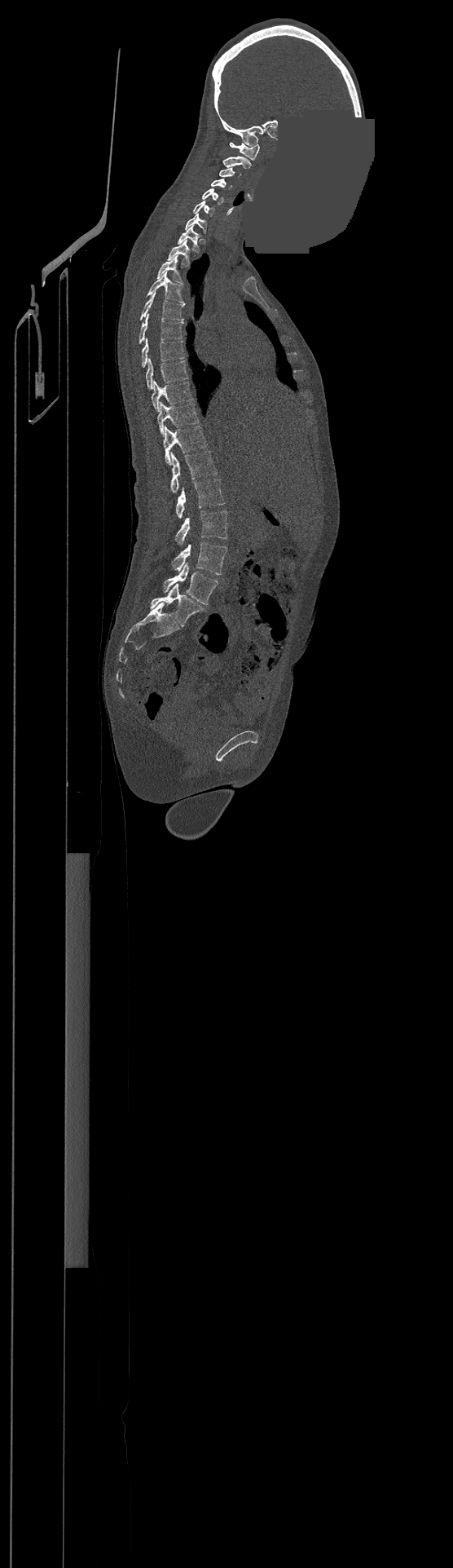
Spine CT; sagittal view; 500 mm wide; bone-window reconstruction; an area of the scan was removed and filled with constant pixels. Coordinates as <box>x1,y1,x2,y2</box>. Labels in this scan begin with C1 at the top and end with L4 at the bottom. Vertebrae labeled: L4 at <box>163,563,218,604</box>, L3 at <box>173,541,226,574</box>, L2 at <box>175,510,227,545</box>, L1 at <box>176,478,225,518</box>, T12 at <box>169,451,217,492</box>, T11 at <box>163,426,208,464</box>, T10 at <box>156,402,198,435</box>, T9 at <box>152,380,192,411</box>, T8 at <box>146,359,187,388</box>, T7 at <box>142,338,184,367</box>, T6 at <box>139,314,183,343</box>, T5 at <box>141,291,184,320</box>, T4 at <box>147,272,184,304</box>, T3 at <box>157,256,183,282</box>, T2 at <box>167,241,189,265</box>, T1 at <box>178,225,199,252</box>, C7 at <box>185,214,206,232</box>, C6 at <box>193,201,214,215</box>, C5 at <box>201,188,224,204</box>, C4 at <box>211,179,231,189</box>, C3 at <box>219,167,240,177</box>, C2 at <box>222,157,251,168</box>, C1 at <box>230,143,259,159</box>.